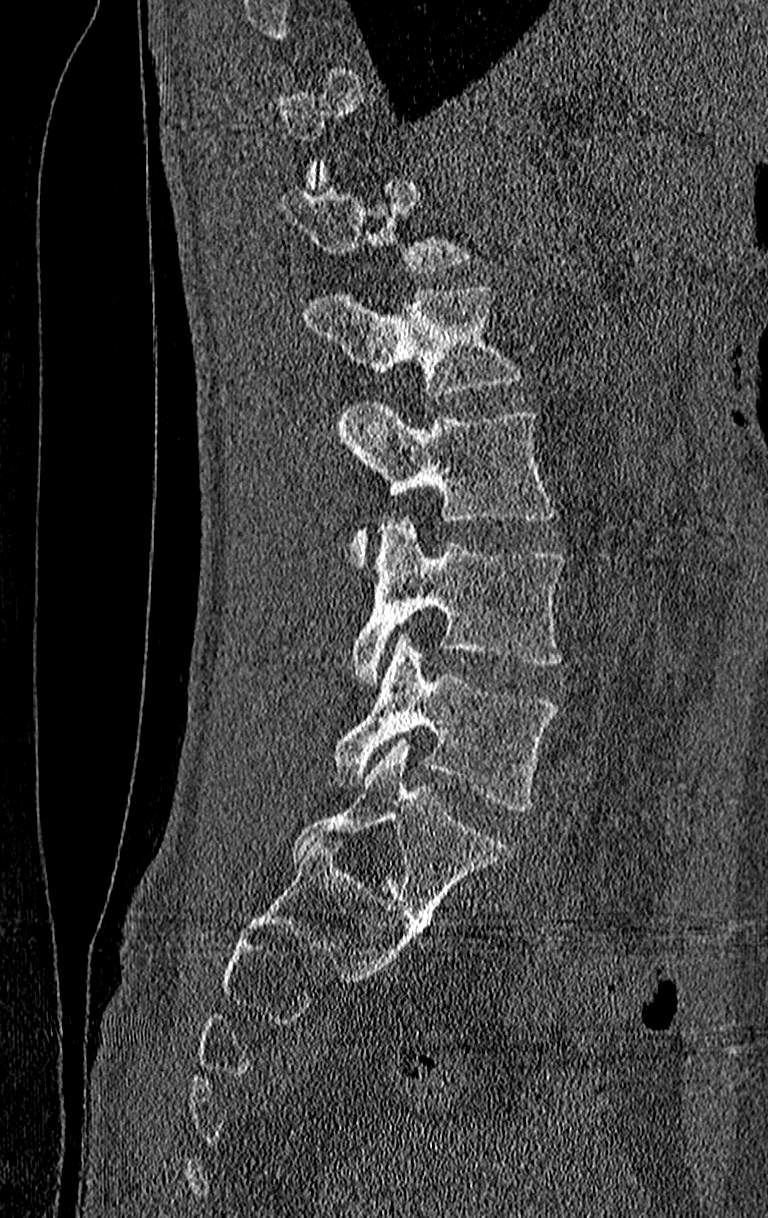 CT, spine · sagittal reformat · bone-window reconstruction

Each row gives a vertebra's box as x1, y1, x2, y2 in pixels: top-left corner, then bottom-right corner.
Each vertebra is boxed only on the slices from the first to the last where its cross-section reaches a third of its largest, so a slice outside that range leaves it unboxed.
In this scan, the topmost labeled vertebra is T11 and the lowest is L4.
| vertebra | x1 | y1 | x2 | y2 |
|---|---|---|---|---|
| L4 | 331 | 634 | 561 | 812 |
| L3 | 350 | 520 | 565 | 684 |
| L2 | 339 | 400 | 557 | 570 |
| L1 | 306 | 283 | 524 | 396 |
| T12 | 280 | 163 | 473 | 271 |